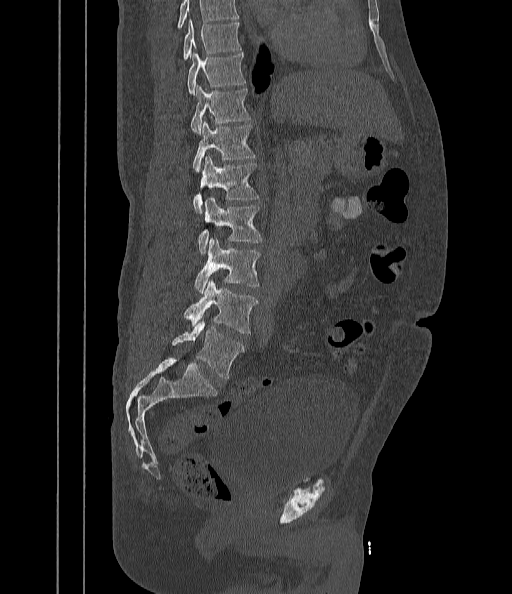
CT, spine — sagittal view — bone-window reconstruction — 512x594 px
Coordinates as <box>x1,y1,x2,y2</box>.
Where the top of the scan cuts through a vertebra, that vertebra gets no label or box.
Vertebra bounding boxes:
- L5: <box>173,318,244,380</box>
- L4: <box>184,280,257,334</box>
- L3: <box>195,238,260,293</box>
- L2: <box>198,198,262,254</box>
- L1: <box>193,156,258,213</box>
- T12: <box>192,120,255,171</box>
- T11: <box>191,85,250,133</box>
- T10: <box>188,52,244,95</box>
- T9: <box>183,19,241,60</box>